Computed tomography of the spine; sagittal view; 512x845 px; 16 vertebrae labeled in this scan
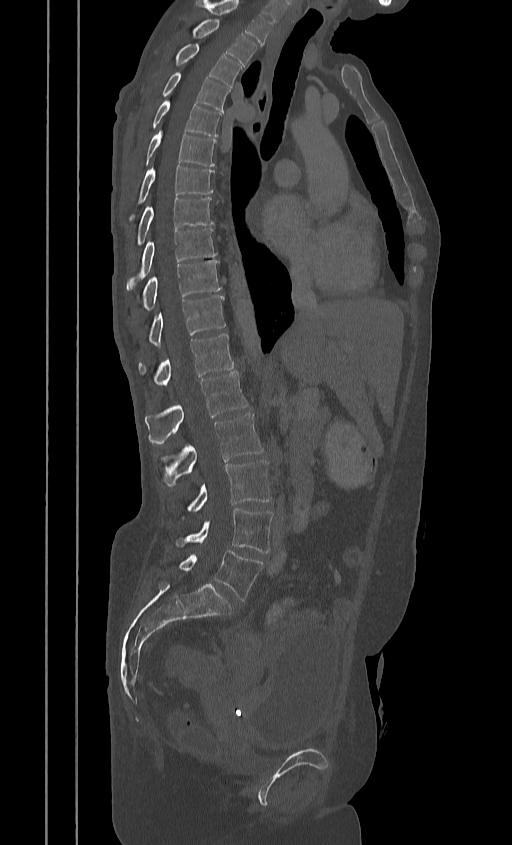
Bounding boxes as [x1, y1, x2, y2] in pixel coordinates.
This scan's labels start at T2 at the top and end at L5 at the bottom.
L5: [180, 549, 263, 600]
L4: [177, 508, 273, 552]
L3: [188, 460, 271, 512]
L2: [164, 413, 263, 486]
L1: [145, 372, 247, 444]
T12: [138, 333, 233, 384]
T11: [146, 295, 225, 346]
T10: [138, 260, 221, 310]
T9: [126, 228, 216, 291]
T8: [134, 197, 213, 248]
T7: [125, 165, 213, 223]
T6: [141, 131, 216, 166]
T5: [150, 100, 221, 136]
T4: [160, 72, 229, 112]
T3: [173, 44, 241, 87]
T2: [192, 19, 256, 66]